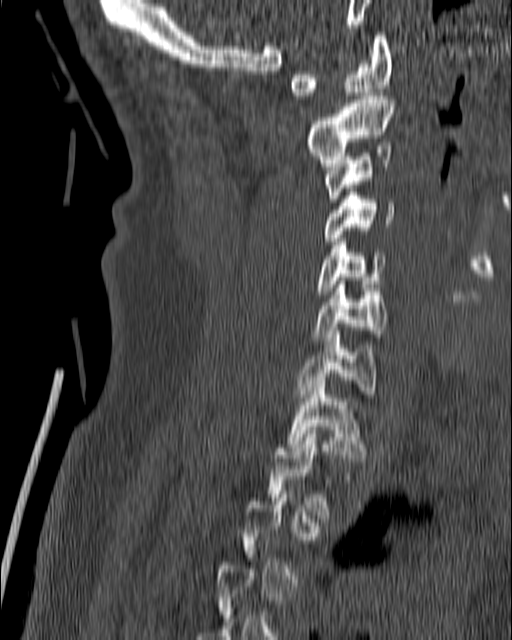 Spine CT; sagittal view; W/L 1800/400 HU

Boxes: x1:y1:x2:y2 in pixels. Each vertebra is boxed only on the slices from the first to the last where its cross-section reaches a third of its largest, so a slice outside that range leaves it unboxed. Vertebrae labeled: C1 at 290:32:392:99, C2 at 305:92:395:166, C3 at 322:146:392:202, C4 at 311:192:395:244, C5 at 316:238:387:298, C6 at 311:281:387:340, C7 at 295:331:378:397, T1 at 285:377:367:461.